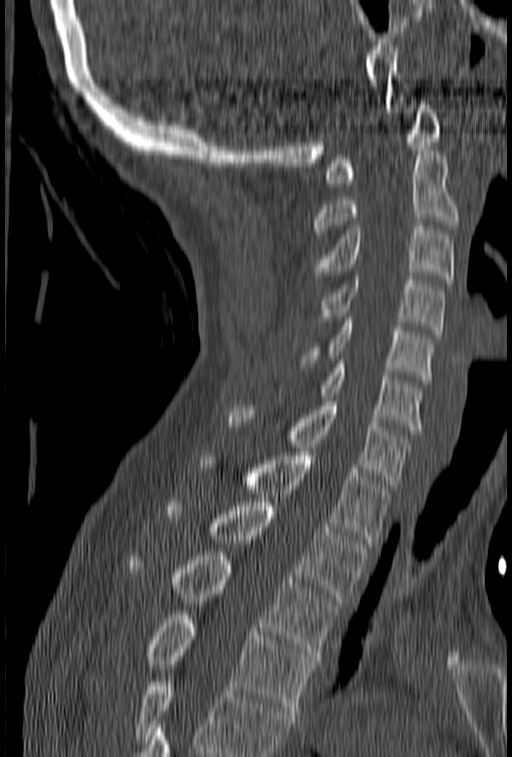

CT, spine. sagittal view
Boxes are given in columns x1, y1, x2, y2, the pixel coordinates of their top-left and bottom-right corners.
No box is given to a vertebra that the bottom edge of the scan cuts off.
| vertebra | x1 | y1 | x2 | y2 |
|---|---|---|---|---|
| C1 | 326 | 96 | 442 | 187 |
| C2 | 313 | 151 | 459 | 233 |
| C3 | 315 | 222 | 454 | 283 |
| C4 | 316 | 276 | 445 | 334 |
| C5 | 303 | 314 | 435 | 380 |
| C6 | 278 | 360 | 422 | 434 |
| C7 | 229 | 397 | 408 | 488 |
| T1 | 199 | 452 | 388 | 547 |
| T2 | 166 | 502 | 368 | 601 |
| T3 | 128 | 552 | 338 | 660 |
| T4 | 145 | 615 | 315 | 714 |